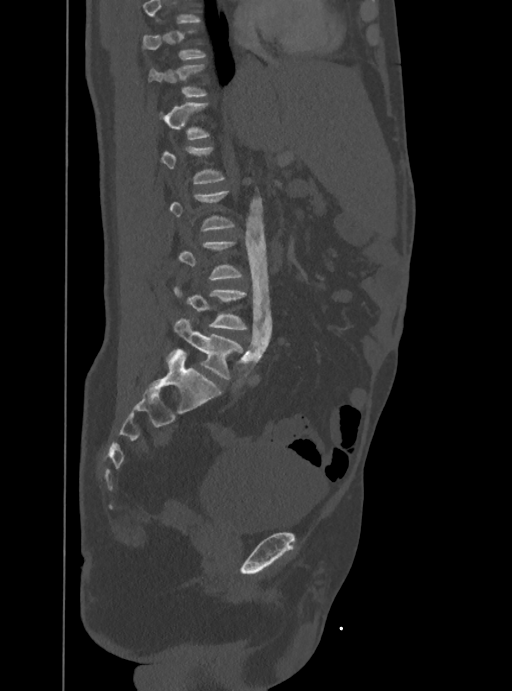

Spine computed tomography; sagittal view; 512x691 px

A vertebra gets a box only on the slices from the first to the last where its cross-section is at least a third of its largest; on a slice outside that range it gets none.
<vertebrae><v name="L4" x1="174" y1="287" x2="246" y2="329"/><v name="L5" x1="167" y1="318" x2="243" y2="379"/></vertebrae>